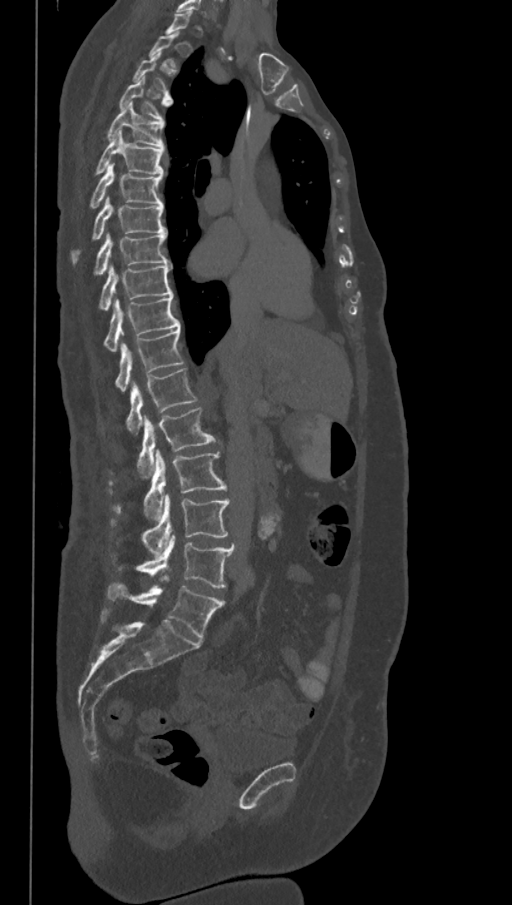

CT, spine — sagittal reformat — W/L 1800/400 HU — 512x905 px. Columns x1, y1, x2, y2 give each box's top-left and bottom-right pixels.
A vertebra gets a box only on the slices from the first to the last where its cross-section is at least a third of its largest; on a slice outside that range it gets none.
In these labels the spine has an L6, a sixth lumbar vertebra below L5.
| vertebra | x1 | y1 | x2 | y2 |
|---|---|---|---|---|
| L6 | 107 | 576 | 224 | 638 |
| L5 | 136 | 533 | 234 | 588 |
| L4 | 142 | 493 | 231 | 556 |
| L3 | 110 | 450 | 227 | 520 |
| L2 | 138 | 407 | 220 | 479 |
| L1 | 126 | 368 | 196 | 435 |
| T12 | 115 | 328 | 182 | 392 |
| T11 | 104 | 294 | 180 | 351 |
| T10 | 100 | 263 | 173 | 311 |
| T9 | 94 | 232 | 170 | 274 |
| T8 | 71 | 195 | 166 | 263 |
| T7 | 90 | 163 | 163 | 207 |
| T6 | 96 | 131 | 163 | 176 |
| T5 | 107 | 103 | 163 | 147 |
| T4 | 119 | 76 | 171 | 119 |